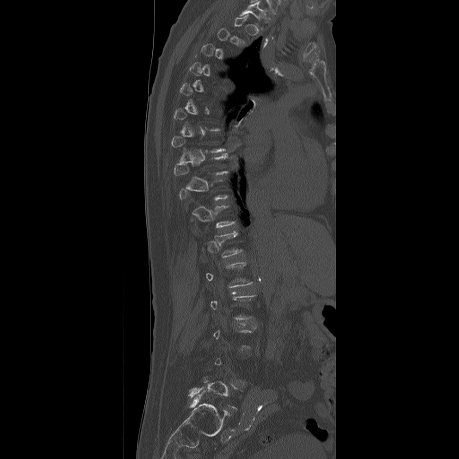 Spine computed tomography; sagittal view; W/L 1800/400 HU
Each vertebra is boxed only on the slices from the first to the last where its cross-section reaches a third of its largest, so a slice outside that range leaves it unboxed.
<vertebrae><v name="T9" x1="174" y1="155" x2="227" y2="175"/><v name="L1" x1="206" y1="262" x2="253" y2="287"/></vertebrae>